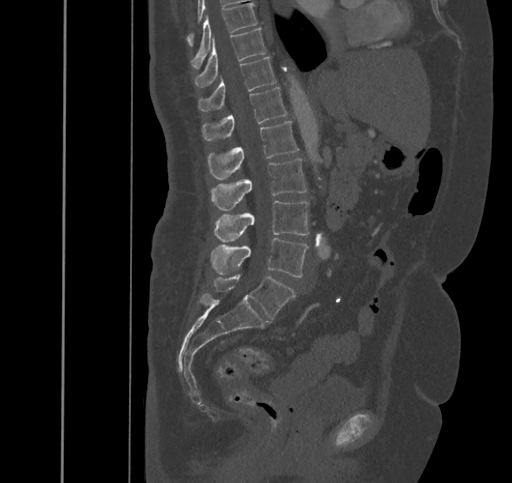

Spine CT; sagittal reformat
Each box is [x1, y1, x2, y2] in pixels: top-left corner, then bottom-right corner.
{"vertebrae":{"T9":[191,3,257,68],"T10":[194,28,266,87],"T11":[198,57,276,111],"T12":[202,87,287,141],"L1":[208,121,298,179],"L2":[210,158,306,210],"L3":[214,201,308,241],"L4":[210,237,308,277],"L5":[214,274,295,318]}}